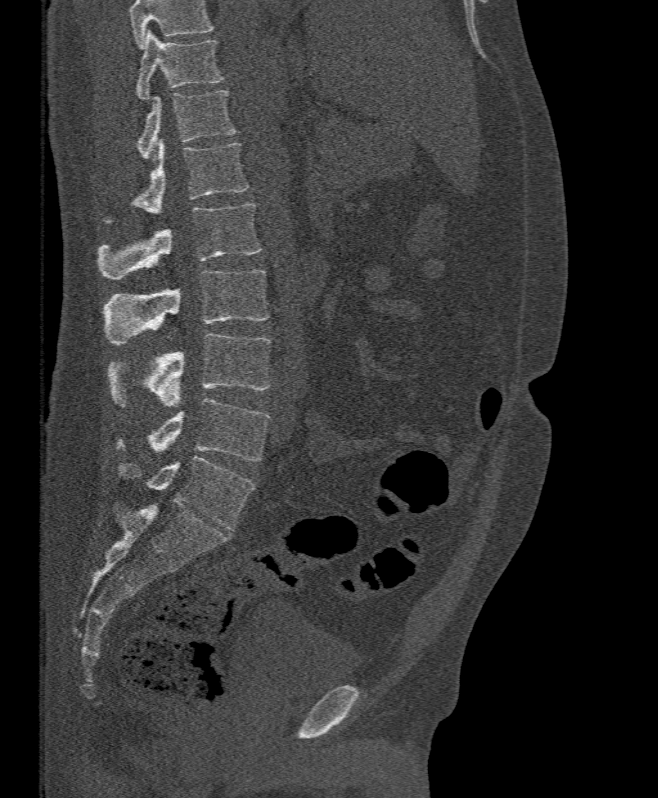 CT spine. 395 mm across the image. sagittal view
Where the top of the scan cuts through a vertebra, that vertebra gets no label or box.
<vertebrae><v name="T11" x1="136" y1="30" x2="224" y2="101"/><v name="T12" x1="136" y1="90" x2="237" y2="161"/><v name="L1" x1="134" y1="138" x2="248" y2="214"/><v name="L2" x1="98" y1="203" x2="260" y2="279"/><v name="L3" x1="105" y1="270" x2="269" y2="346"/><v name="L4" x1="107" y1="333" x2="270" y2="407"/><v name="L5" x1="117" y1="398" x2="269" y2="461"/></vertebrae>